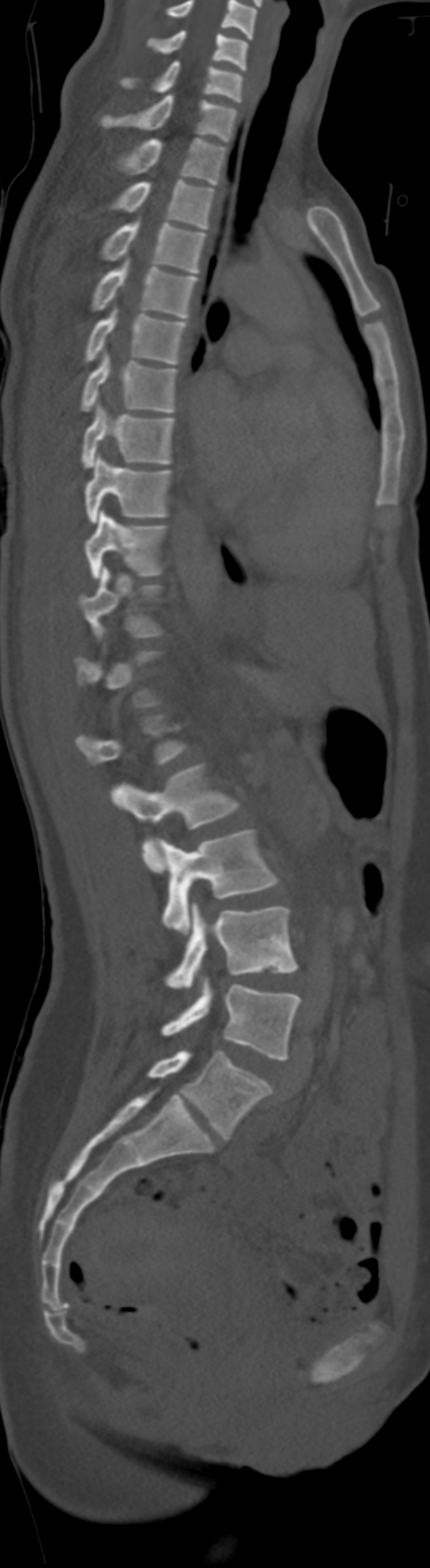 Computed tomography of the spine; sagittal view
Boxes are (x1, y1, x2, y2) in pixels. Not every vertebra on this slice has a box: a vertebra is boxed only from the first to the last slice where its cross-section is at least a third of its largest, and this slice is outside that range for at least one of them. The highest labeled vertebra in this scan is C5; the lowest is L6. In these labels the spine has an L6, a sixth lumbar vertebra below L5. The labeled vertebrae in this slice are: C5 at (146, 29, 249, 70), C6 at (119, 60, 243, 102), C7 at (99, 95, 238, 141), T1 at (118, 137, 226, 185), T2 at (111, 180, 215, 228), T3 at (99, 220, 206, 273), T4 at (91, 260, 197, 317), T5 at (84, 307, 188, 364), T6 at (79, 354, 177, 411), T7 at (81, 404, 175, 467), T8 at (84, 455, 172, 523), T9 at (86, 511, 168, 579), T10 at (79, 566, 164, 638), L1 at (74, 716, 186, 765), L2 at (119, 763, 239, 871), L3 at (158, 828, 280, 933), L4 at (165, 902, 298, 988), L5 at (162, 978, 302, 1060), L6 at (147, 1050, 271, 1138).